Spine CT — sagittal view — the image spans 180 mm across — 512x747 px
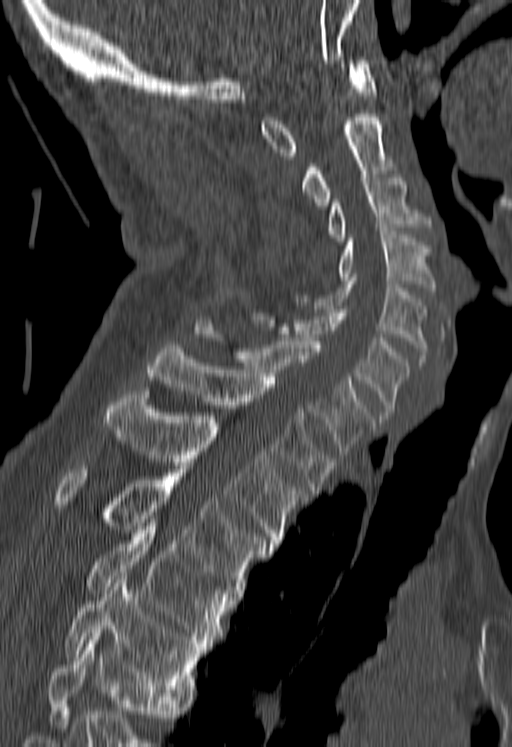
No box is given to a vertebra that the bottom edge of the scan cuts off.
<vertebrae><v name="C1" x1="260" y1="60" x2="376" y2="159"/><v name="C2" x1="302" y1="114" x2="395" y2="209"/><v name="C3" x1="328" y1="178" x2="432" y2="241"/><v name="C4" x1="337" y1="231" x2="435" y2="294"/><v name="C5" x1="294" y1="277" x2="427" y2="365"/><v name="C6" x1="245" y1="302" x2="410" y2="419"/><v name="C7" x1="193" y1="320" x2="373" y2="454"/><v name="T1" x1="146" y1="345" x2="336" y2="493"/><v name="T2" x1="103" y1="391" x2="304" y2="547"/><v name="T3" x1="55" y1="466" x2="273" y2="593"/><v name="T4" x1="86" y1="526" x2="230" y2="643"/><v name="T5" x1="65" y1="572" x2="205" y2="696"/></vertebrae>